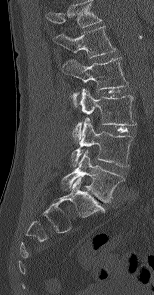
Spine computed tomography · 154 mm image width · sagittal reformat
In this scan, the topmost labeled vertebra is L1 and the lowest is L5.
<vertebrae><v name="L1" x1="53" y1="26" x2="116" y2="58"/><v name="L2" x1="62" y1="57" x2="128" y2="106"/><v name="L3" x1="72" y1="88" x2="136" y2="142"/><v name="L4" x1="71" y1="118" x2="133" y2="166"/><v name="L5" x1="61" y1="150" x2="124" y2="202"/></vertebrae>